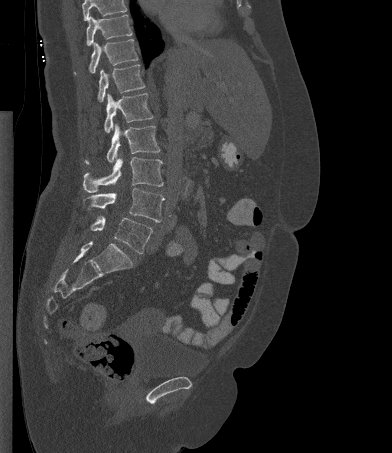 CT · sagittal view · 392x453 px. Bounding boxes as [x1, y1, x2, y2] in pixel coordinates.
Where the top of the scan cuts through a vertebra, that vertebra gets no label or box.
L5: [90, 216, 152, 253]
L4: [84, 188, 164, 222]
L3: [83, 154, 163, 192]
L2: [85, 123, 160, 164]
L1: [104, 93, 153, 133]
T12: [98, 64, 145, 102]
T11: [74, 39, 138, 74]
T10: [86, 15, 132, 45]